Computed tomography of the spine; sagittal plane, index 107; bone window; 250x372 px; 9 vertebrae labeled in this scan
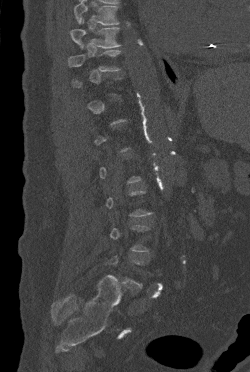

Bounding boxes as [x1, y1, x2, y2] in pixel coordinates.
Not every vertebra on this slice has a box: a vertebra is boxed only from the first to the last slice where its cross-section is at least a third of its largest, and this slice is outside that range for at least one of them.
Vertebrae that run past the top of the scan are left unlabeled.
Vertebra bounding boxes:
- T10: [68, 50, 120, 71]
- T9: [70, 19, 120, 48]